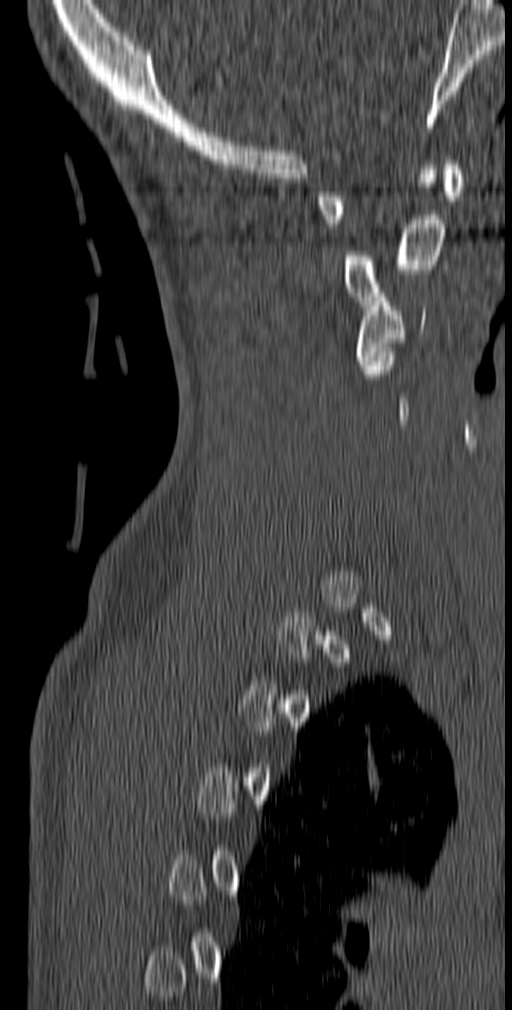
Computed tomography of the spine; sagittal reformat; bone window; 512x1010 px

Boxes: x1 y1 x2 y2 (pixel coords, space-separated).
A vertebra gets a box only on the slices from the first to the last where its cross-section is at least a third of its largest; on a slice outside that range it gets none.
Vertebra bounding boxes:
- C1: 316 160 462 228
- C2: 341 169 446 305
- C3: 356 293 425 369